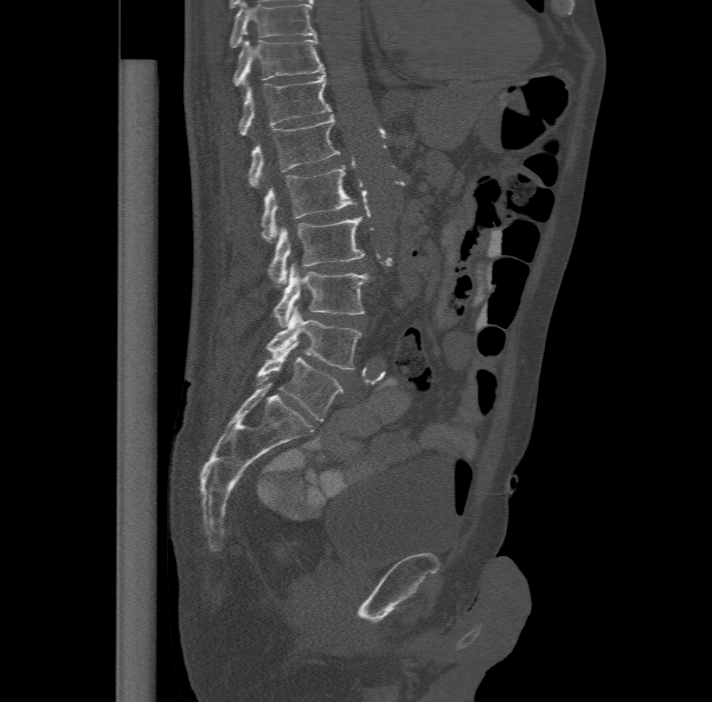

CT · sagittal view · bone window
In the table, x1 and y1 are a box's top-left corner and x2 and y2 its bottom-right corner, in pixels.
Labels in this scan begin with T11 at the top and end with L6 at the bottom.
In these labels the spine has an L6, a sixth lumbar vertebra below L5.
| vertebra | x1 | y1 | x2 | y2 |
|---|---|---|---|---|
| T11 | 232 | 37 | 323 | 85 |
| T12 | 239 | 72 | 331 | 135 |
| L1 | 249 | 113 | 340 | 187 |
| L2 | 261 | 164 | 358 | 241 |
| L3 | 268 | 215 | 365 | 287 |
| L4 | 273 | 262 | 369 | 326 |
| L5 | 267 | 306 | 362 | 370 |
| L6 | 257 | 341 | 344 | 421 |